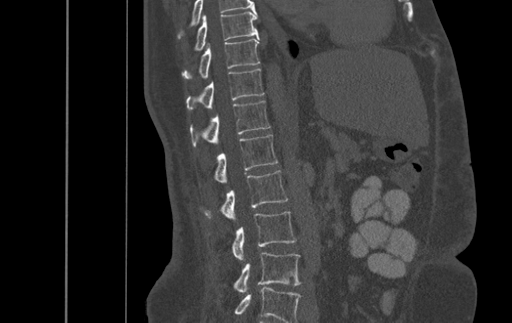

Spine CT · sagittal reformat · bone window. Boxes: x1:y1:x2:y2 in pixels.
This scan's labels start at T9 at the top and end at L4 at the bottom.
T9: 195:12:258:50
T10: 182:38:259:79
T11: 187:69:263:110
T12: 190:100:270:146
L1: 214:134:277:182
L2: 204:170:288:220
L3: 233:211:296:261
L4: 234:252:301:293